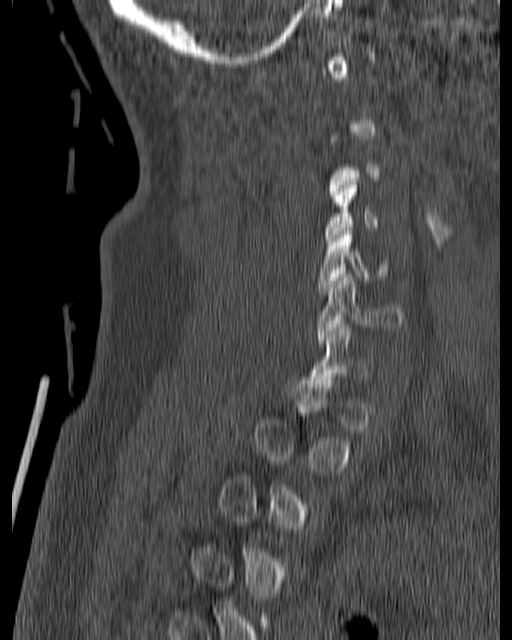
Computed tomography of the spine; the image spans 180 mm across; sagittal view. Box edges are left/top/right/bottom in pixels.
A vertebra gets a box only on the slices from the first to the last where its cross-section is at least a third of its largest; on a slice outside that range it gets none.
Vertebra bounding boxes:
- C4: left=325, top=178, right=378, bottom=244
- C5: left=317, top=231, right=390, bottom=294
- C6: left=316, top=274, right=403, bottom=344